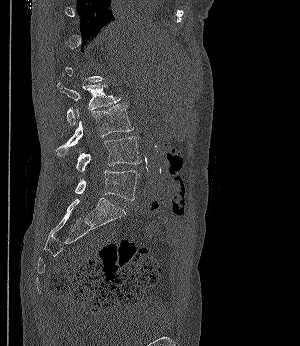 Spine computed tomography — sagittal view — bone-window reconstruction
Boxes are given in columns x1, y1, x2, y2, the pixel coordinates of their top-left and bottom-right corners.
Not every vertebra on this slice has a box: a vertebra is boxed only from the first to the last slice where its cross-section is at least a third of its largest, and this slice is outside that range for at least one of them.
| vertebra | x1 | y1 | x2 | y2 |
|---|---|---|---|---|
| L2 | 57 | 82 | 121 | 125 |
| L3 | 54 | 104 | 133 | 155 |
| L4 | 75 | 136 | 141 | 171 |
| L5 | 75 | 170 | 139 | 200 |